Spine computed tomography — image 340 mm wide — sagittal plane, index 179 — bone-window reconstruction
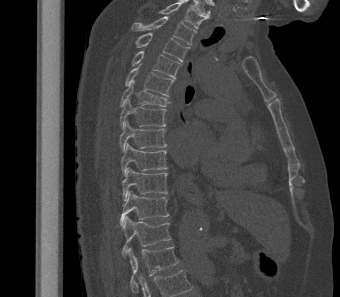 Columns x1, y1, x2, y2 give each box's top-left and bottom-right pixels.
The highest labeled vertebra in this scan is T2; the lowest is L1.
| vertebra | x1 | y1 | x2 | y2 |
|---|---|---|---|---|
| T2 | 131 | 16 | 196 | 44 |
| T3 | 135 | 33 | 189 | 62 |
| T4 | 131 | 51 | 181 | 78 |
| T5 | 125 | 64 | 174 | 96 |
| T6 | 120 | 80 | 170 | 107 |
| T7 | 119 | 98 | 166 | 127 |
| T8 | 119 | 120 | 167 | 151 |
| T9 | 120 | 143 | 168 | 175 |
| T10 | 121 | 167 | 168 | 200 |
| T11 | 120 | 191 | 169 | 226 |
| T12 | 122 | 216 | 172 | 256 |
| L1 | 128 | 246 | 179 | 295 |